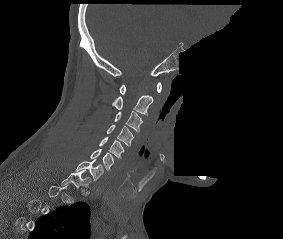

CT, spine — 283 mm across the image — sagittal view — Bone window (WL 400, WW 1800) — an area of the scan was removed and filled with constant pixels
Not every vertebra on this slice has a box: a vertebra is boxed only from the first to the last slice where its cross-section is at least a third of its largest, and this slice is outside that range for at least one of them.
<vertebrae><v name="C1" x1="119" y1="82" x2="161" y2="94"/><v name="C2" x1="112" y1="95" x2="153" y2="115"/><v name="C3" x1="114" y1="111" x2="143" y2="132"/><v name="C4" x1="107" y1="124" x2="133" y2="146"/><v name="C5" x1="99" y1="136" x2="124" y2="158"/><v name="C6" x1="90" y1="149" x2="114" y2="170"/><v name="C7" x1="75" y1="159" x2="103" y2="181"/><v name="T1" x1="61" y1="170" x2="90" y2="188"/></vertebrae>